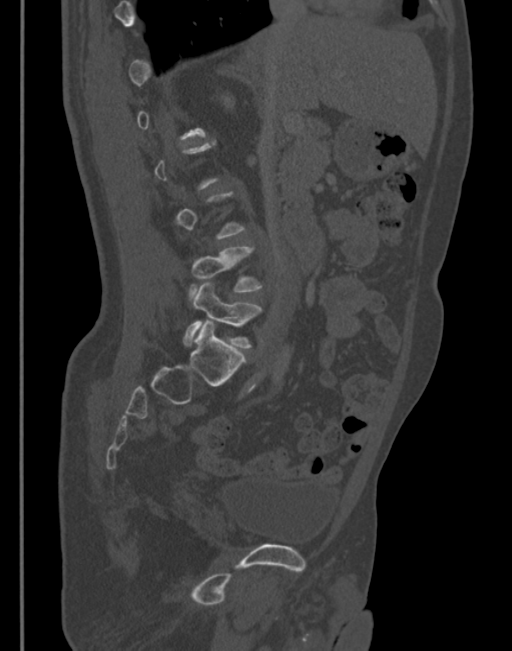

Computed tomography of the spine · sagittal view · bone window
Boxes are (x1, y1, x2, y2) in pixels. A vertebra is boxed only from the first to the last slice where its cross-section is at least a third of its largest; slices outside that range leave it without a box. 2 vertebrae labeled — L4 at (187, 246, 263, 301); L5 at (184, 283, 261, 348).